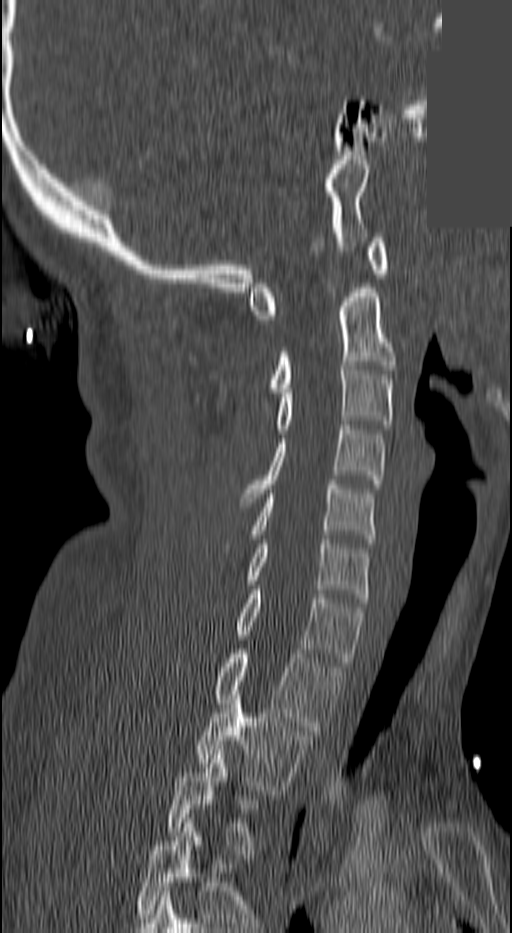

Computed tomography of the spine; sagittal reformat; Bone window (WL 400, WW 1800); an area of the scan was removed and filled with constant pixels. Coordinates as <box>x1,y1,x2,y2</box>.
A vertebra gets a box only on the slices from the first to the last where its cross-section is at least a third of its largest; on a slice outside that range it gets none.
T2: <box>199,695,308,794</box>
T1: <box>217,649,340,735</box>
C7: <box>235,590,362,666</box>
C6: <box>250,539,370,602</box>
C5: <box>254,480,373,543</box>
C4: <box>241,425,384,502</box>
C3: <box>276,361,392,433</box>
C2: <box>272,288,395,392</box>
C1: <box>250,238,388,319</box>